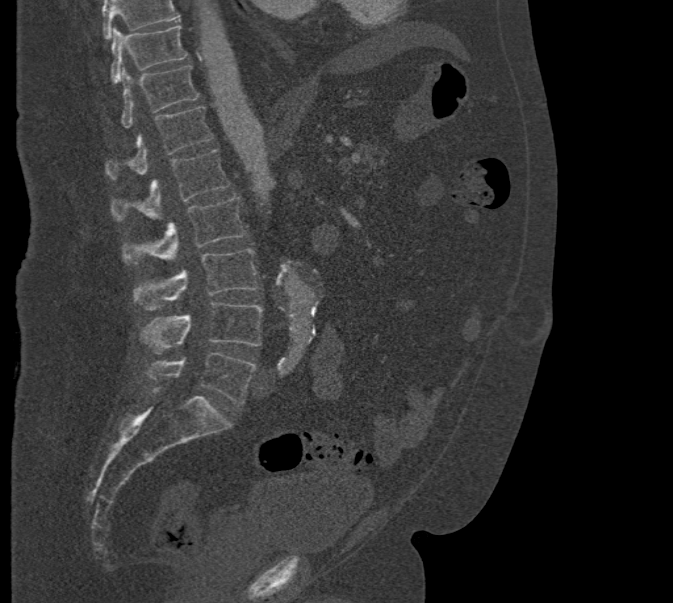

Spine computed tomography; sagittal view; image 471 mm wide
Boxes below are [x1, y1, x2, y2] in pixels.
No box is given to a vertebra that the top edge of the scan cuts off.
{"vertebrae":{"T10":[110,26,187,84],"T11":[120,65,199,128],"T12":[105,106,213,179],"L1":[112,149,230,221],"L2":[121,198,246,264],"L3":[133,249,258,309],"L4":[142,303,262,354],"L5":[147,352,257,404]}}